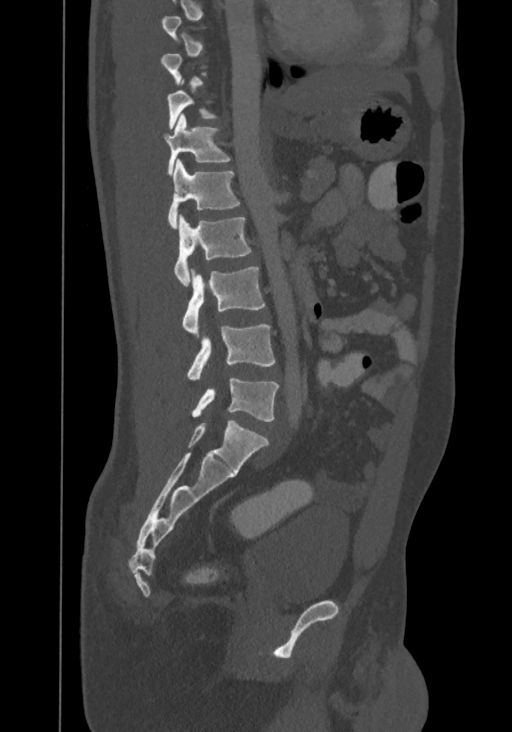 Spine CT · sagittal view · bone window. Columns x1, y1, x2, y2 give each box's top-left and bottom-right pixels.
A vertebra gets a box only on the slices from the first to the last where its cross-section is at least a third of its largest; on a slice outside that range it gets none.
This scan's labels start at T8 at the top and end at L4 at the bottom.
| vertebra | x1 | y1 | x2 | y2 |
|---|---|---|---|---|
| T10 | 167 | 79 | 218 | 128 |
| T11 | 164 | 114 | 230 | 175 |
| T12 | 167 | 159 | 240 | 228 |
| L1 | 174 | 215 | 251 | 287 |
| L2 | 183 | 266 | 265 | 333 |
| L3 | 187 | 324 | 275 | 379 |
| L4 | 191 | 378 | 279 | 421 |